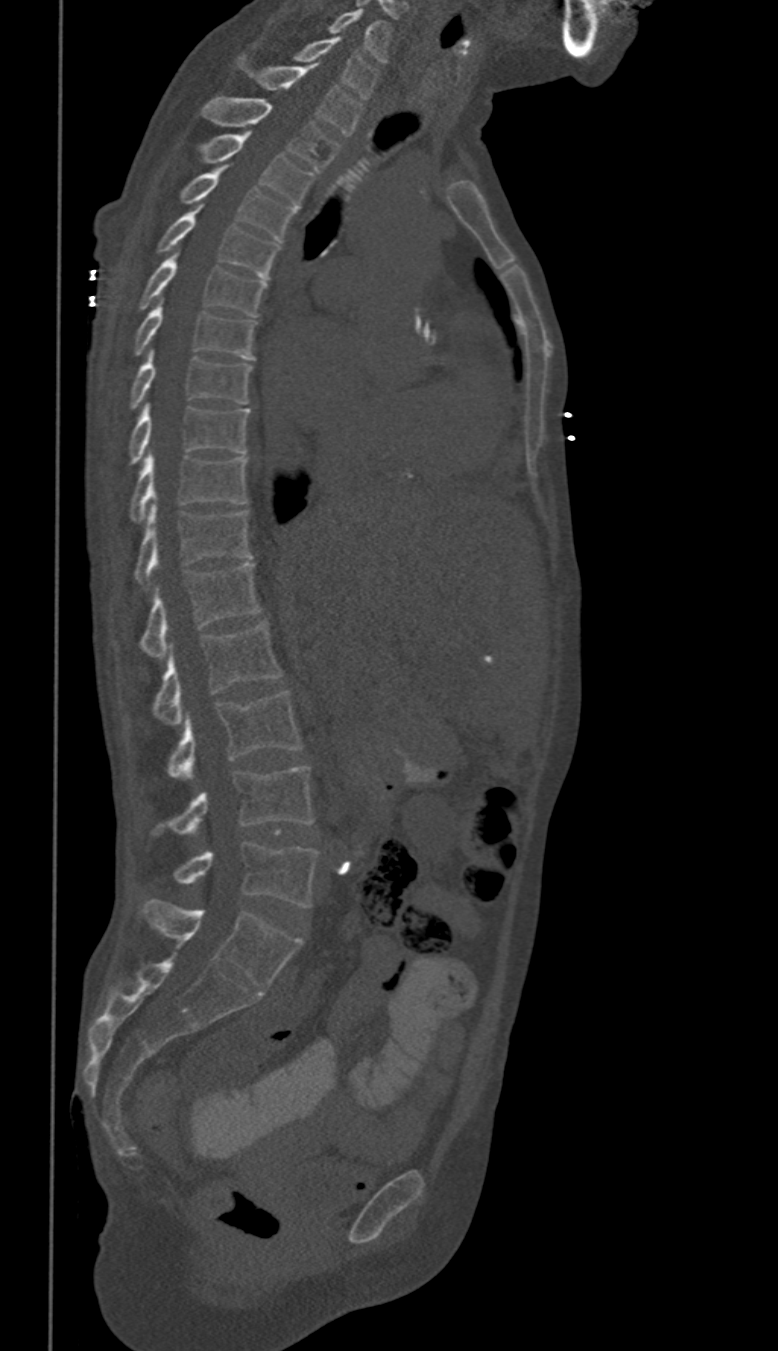 CT, spine · sagittal view · 350 mm across the image · Bone window (WL 400, WW 1800). Boxes are (x1, y1, x2, y2) in pixels.
These labels give this spine no T12: after T11 the next vertebra is L1.
Vertebra bounding boxes:
- C6: (328, 8, 389, 62)
- C7: (295, 36, 376, 99)
- T1: (237, 56, 361, 135)
- T2: (202, 96, 339, 171)
- T3: (197, 132, 313, 206)
- T4: (179, 167, 297, 242)
- T5: (158, 207, 279, 277)
- T6: (140, 249, 268, 317)
- T7: (135, 298, 254, 359)
- T8: (131, 352, 253, 408)
- T9: (129, 405, 250, 462)
- T10: (131, 452, 248, 522)
- T11: (135, 503, 250, 588)
- L1: (140, 563, 259, 657)
- L2: (153, 620, 282, 724)
- L3: (166, 692, 301, 779)
- L4: (155, 767, 312, 835)
- L5: (173, 843, 316, 906)